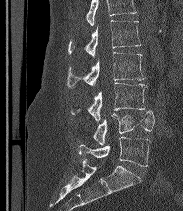
CT, spine — sagittal view — bone window

Boxes: x1 y1 x2 y2 (pixel coords, space-separated).
No box is given to a vertebra that the top edge of the scan cuts off.
The labels name a sixth lumbar vertebra for this spine: L6, after L5.
L2: 68 20 141 57
L3: 67 52 145 88
L4: 71 83 145 121
L5: 93 110 154 145
L6: 78 136 150 166